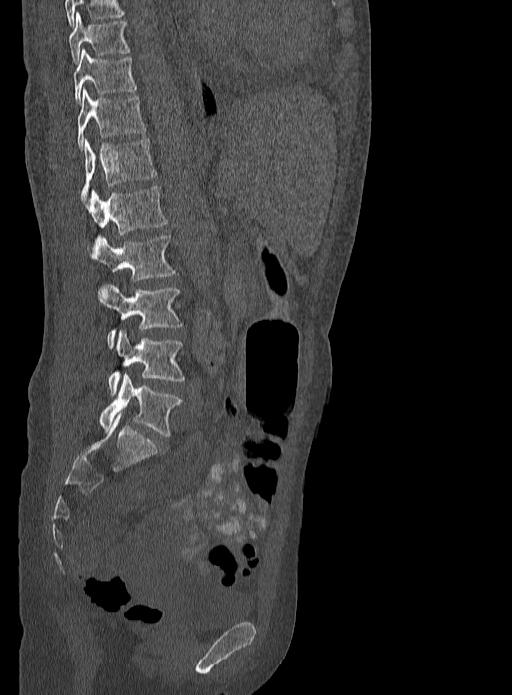
CT, spine — sagittal reformat — the image spans 333 mm across — 512x695 px
Boxes are (x1, y1, x2, y2) in pixels.
Vertebra bounding boxes:
- T9: (69, 12, 129, 62)
- T10: (74, 49, 136, 104)
- T11: (77, 88, 145, 148)
- T12: (81, 138, 157, 200)
- L1: (86, 186, 168, 234)
- L2: (89, 235, 176, 282)
- L3: (98, 284, 182, 348)
- L4: (107, 331, 185, 394)
- L5: (100, 374, 182, 436)